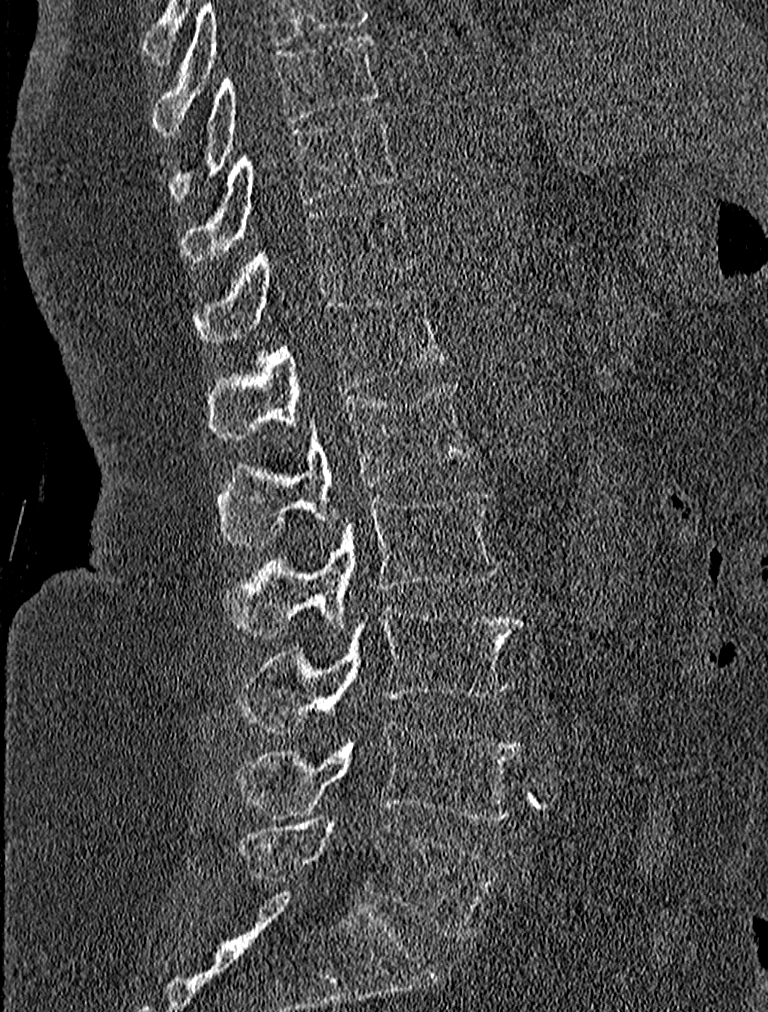

Spine computed tomography — sagittal view — bone window — 768x1012 px
<vertebrae><v name="L5" x1="236" y1="821" x2="499" y2="938"/><v name="L4" x1="232" y1="722" x2="520" y2="820"/><v name="L3" x1="236" y1="600" x2="522" y2="731"/><v name="L2" x1="225" y1="490" x2="499" y2="637"/><v name="L1" x1="215" y1="382" x2="471" y2="546"/><v name="T12" x1="209" y1="288" x2="448" y2="439"/><v name="T11" x1="195" y1="199" x2="417" y2="348"/><v name="T10" x1="182" y1="111" x2="397" y2="262"/><v name="T9" x1="168" y1="33" x2="377" y2="198"/></vertebrae>